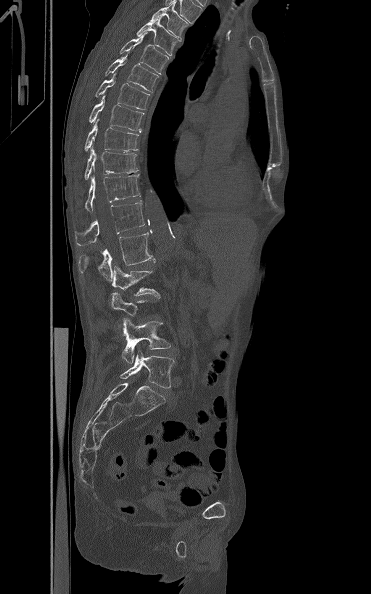 CT spine. sagittal view. the image spans 371 mm across
A vertebra is boxed only from the first to the last slice where its cross-section is at least a third of its largest; slices outside that range leave it without a box.
<vertebrae><v name="T3" x1="149" y1="3" x2="190" y2="39"/><v name="T4" x1="136" y1="20" x2="181" y2="56"/><v name="T5" x1="120" y1="32" x2="168" y2="74"/><v name="T6" x1="105" y1="54" x2="158" y2="92"/><v name="T7" x1="95" y1="73" x2="149" y2="109"/><v name="T8" x1="88" y1="95" x2="144" y2="131"/><v name="T9" x1="84" y1="119" x2="139" y2="151"/><v name="T10" x1="84" y1="148" x2="139" y2="180"/><v name="T11" x1="84" y1="174" x2="140" y2="211"/><v name="T12" x1="75" y1="200" x2="145" y2="245"/><v name="L1" x1="78" y1="229" x2="155" y2="280"/><v name="L2" x1="112" y1="266" x2="160" y2="298"/><v name="L4" x1="121" y1="318" x2="171" y2="364"/><v name="L5" x1="120" y1="351" x2="175" y2="388"/></vertebrae>